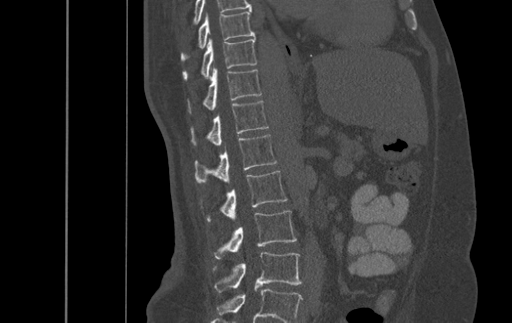 Computed tomography of the spine. image 500 mm wide. sagittal view. 512x323 px

Boxes are (x1, y1, x2, y2) in pixels.
The highest labeled vertebra in this scan is T9; the lowest is L4.
Vertebra bounding boxes:
- L4: (213, 252, 301, 292)
- L3: (213, 210, 296, 258)
- L2: (206, 171, 287, 221)
- L1: (195, 134, 276, 182)
- T12: (191, 100, 268, 145)
- T11: (189, 67, 261, 113)
- T10: (183, 37, 256, 79)
- T9: (182, 11, 254, 59)